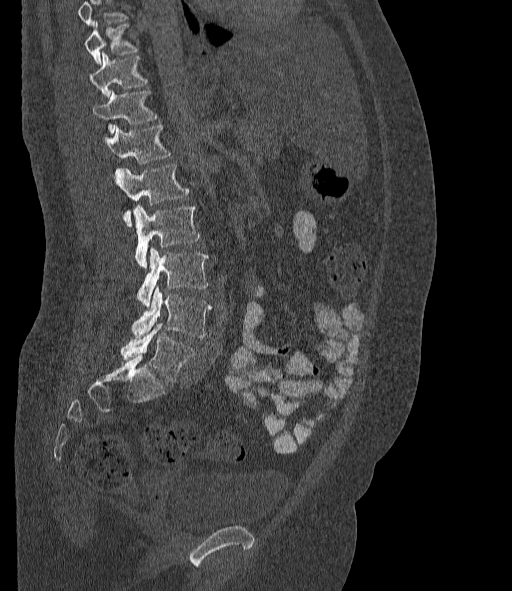 Spine computed tomography — sagittal view — 512x591 px — 377 mm across the image
Box values are [left, top, right, bottom] in pixels.
Where the top of the scan cuts through a vertebra, that vertebra gets no label or box.
In these labels the spine has an L6, a sixth lumbar vertebra below L5.
{"vertebrae":{"T10":[85,22,139,64],"T11":[89,53,147,97],"T12":[94,90,158,135],"L1":[104,125,170,163],"L2":[115,164,189,226],"L3":[134,205,200,267],"L4":[137,247,208,306],"L5":[132,287,211,337],"L6":[121,325,194,382]}}